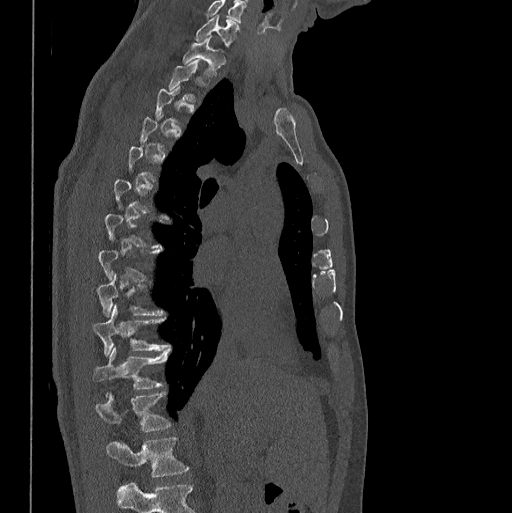 CT, spine · sagittal view · 512x513 px
Each vertebra maps to its box as [x1, y1, x2, y2], the pixel coordinates of its top-left and bottom-right corners.
Each vertebra is boxed only on the slices from the first to the last where its cross-section reaches a third of its largest, so a slice outside that range leaves it unboxed.
The highest labeled vertebra in this scan is C7; the lowest is L1.
{"vertebrae":{"C7":[195,15,238,46],"T1":[183,37,224,74],"T2":[168,60,205,100],"T9":[96,273,164,316],"T10":[92,304,170,354],"T11":[92,347,170,388],"T12":[95,392,171,431],"L1":[107,436,189,477]}}